CT · sagittal reformat
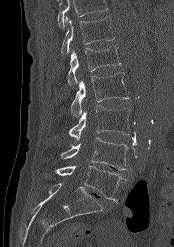

Boxes: x1 y1 x2 y2 (pixel coords, space-separated).
Where the top of the scan cuts through a vertebra, that vertebra gets no label or box.
L5: 55 165 125 201
L4: 60 137 129 170
L3: 54 105 129 141
L2: 71 73 129 117
L1: 67 45 121 87
T12: 61 16 114 55